CT spine — sagittal plane, index 209 — W/L 1800/400 HU
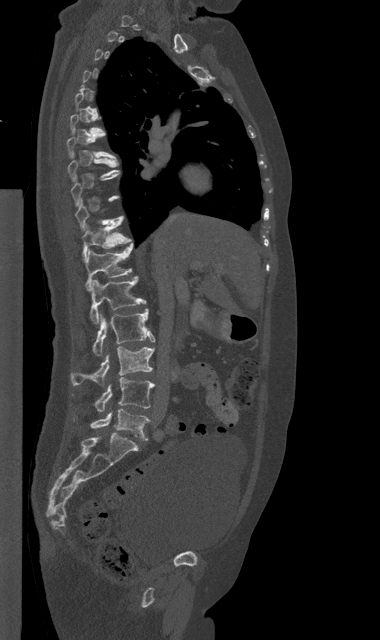

Boxes: x1:y1:x2:y2 in pixels.
Not every vertebra on this slice has a box: a vertebra is boxed only from the first to the last slice where its cross-section is at least a third of its largest, and this slice is outside that range for at least one of them.
Vertebra bounding boxes:
- T8: 68:158:119:181
- T11: 82:220:132:259
- T12: 85:243:133:290
- L1: 90:276:145:323
- L2: 92:309:154:356
- L3: 71:346:154:385
- L4: 94:377:154:411
- L5: 90:409:149:440